Spine computed tomography · Sagittal slice 155/250 · 250x671 px · the image is 250 mm wide
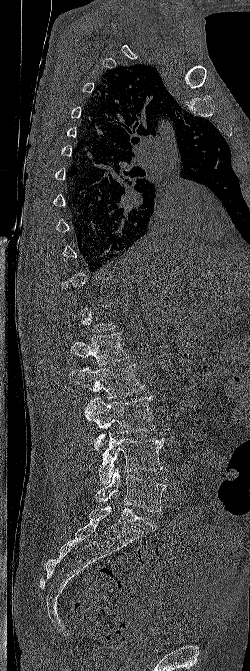
Boxes are (x1, y1, x2, y2) in pixels. Each vertebra is boxed only on the slices from the first to the last where its cross-section reaches a third of its largest, so a slice outside that range leaves it unboxed. The labeled vertebrae in this slice are: L1 at (70, 333, 129, 365), L2 at (69, 364, 144, 399), L3 at (85, 396, 155, 449), L4 at (99, 431, 163, 483), L5 at (94, 468, 166, 512).